CT. sagittal plane, index 246. W/L 1800/400 HU. 778x1351 px. 18 vertebrae labeled in this scan
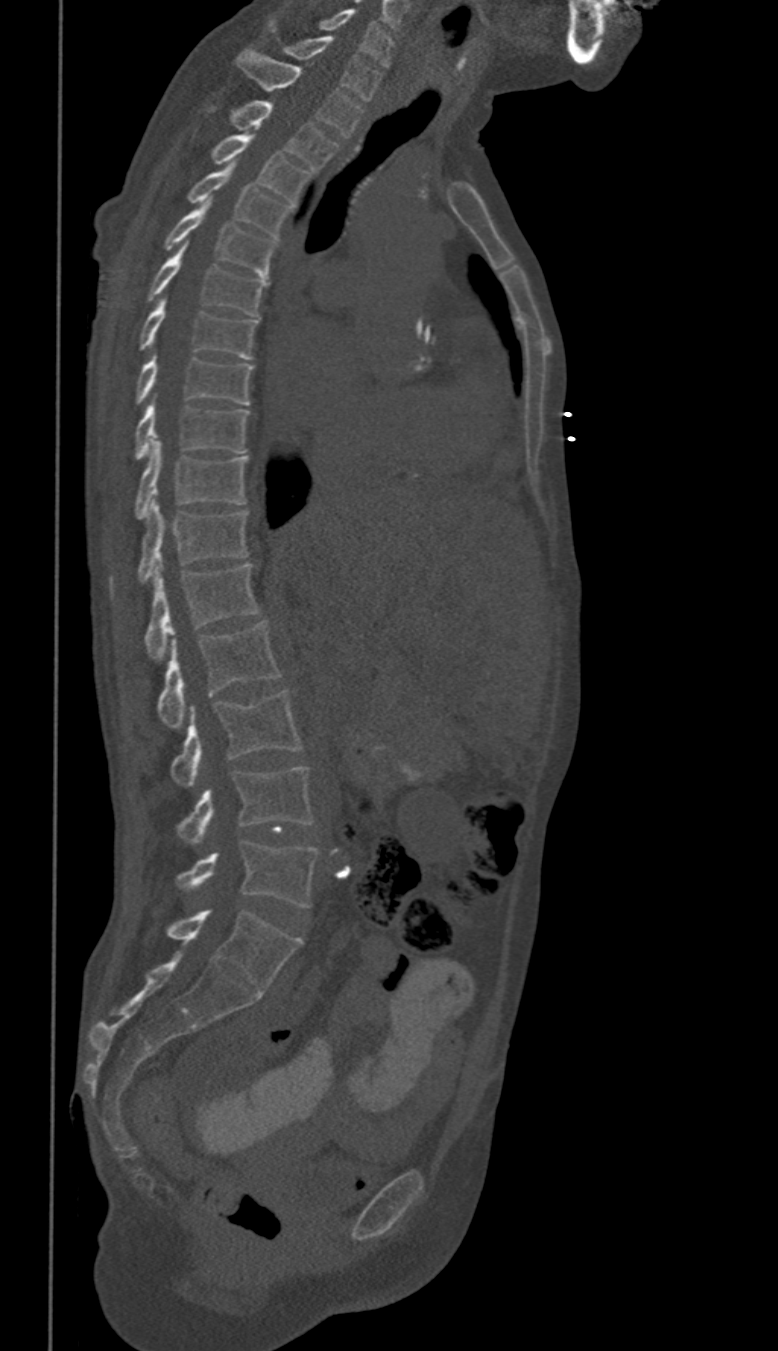
Bounding boxes as [x1, y1, x2, y2] in pixel coordinates.
In these labels the thoracic vertebrae end at T11, so L1 follows T11.
L5: [178, 840, 318, 908]
L4: [178, 767, 312, 844]
L3: [170, 689, 301, 786]
L2: [158, 620, 279, 728]
L1: [144, 563, 259, 659]
T11: [137, 500, 248, 584]
T10: [135, 440, 248, 519]
T9: [135, 400, 248, 459]
T8: [137, 352, 253, 404]
T7: [140, 298, 256, 359]
T6: [149, 243, 268, 315]
T5: [164, 200, 277, 277]
T4: [188, 163, 292, 237]
T3: [211, 134, 310, 202]
T2: [231, 100, 336, 171]
T1: [237, 49, 361, 137]
C7: [269, 20, 380, 99]
C6: [319, 8, 392, 66]